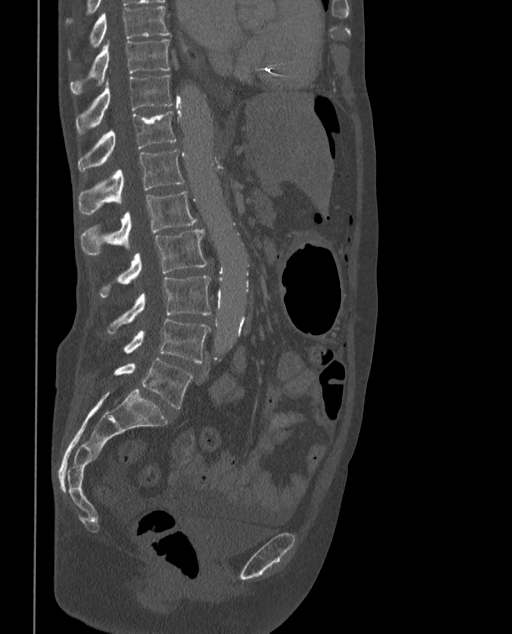 Spine CT · sagittal view · 373 mm image width · 512x634 px. Boxes: x1 y1 x2 y2 (pixel coords, space-separated).
The labels name a sixth lumbar vertebra for this spine: L6, after L5.
L6: 114 358 192 409
L5: 123 319 210 362
L4: 107 275 210 333
L3: 99 229 207 297
L2: 81 191 196 253
L1: 78 149 184 214
T12: 78 111 176 172
T11: 75 75 172 135
T10: 70 40 169 93
T9: 68 5 170 58